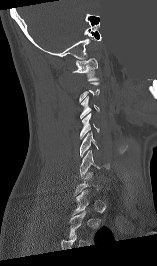 CT. sagittal view. 157x266 px. 157 mm wide. a uniform gray block covers part of the image
Boxes: x1:y1:x2:y2 in pixels.
Not every vertebra on this slice has a box: a vertebra is boxed only from the first to the last slice where its cross-section is at least a third of its largest, and this slice is outside that range for at least one of them.
C6: 80:150:109:177
C5: 80:131:98:156
C4: 80:113:99:139
C3: 80:96:99:119
C1: 72:58:98:80